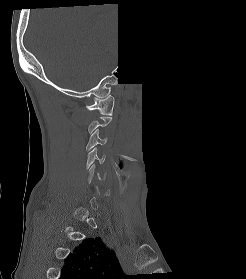
Spine CT — sagittal reformat — the image spans 246 mm across — 246x279 px — a portion of the image is blanked out (constant pixel value)
A vertebra gets a box only on the slices from the first to the last where its cross-section is at least a third of its largest; on a slice outside that range it gets none.
<vertebrae><v name="C1" x1="86" y1="95" x2="114" y2="115"/><v name="C3" x1="86" y1="128" x2="107" y2="151"/><v name="C4" x1="86" y1="147" x2="105" y2="168"/><v name="C5" x1="88" y1="164" x2="106" y2="183"/></vertebrae>